Computed tomography of the spine — sagittal reformat
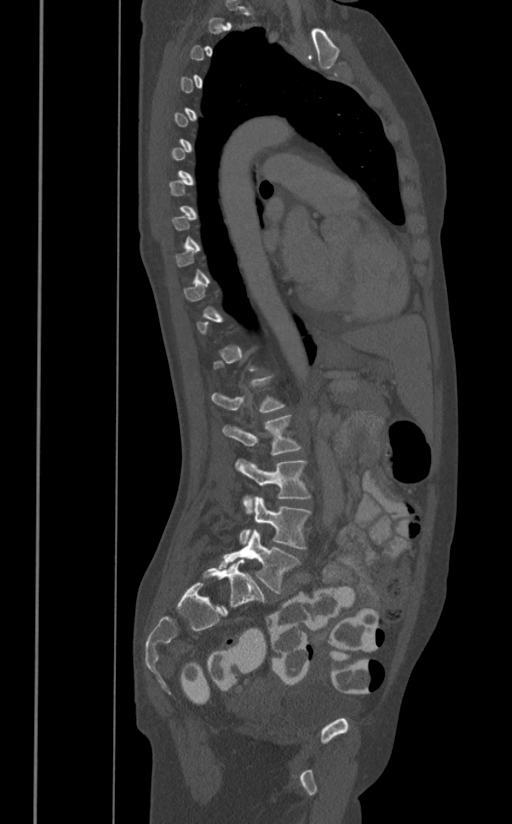

Not every vertebra on this slice has a box: a vertebra is boxed only from the first to the last slice where its cross-section is at least a third of its largest, and this slice is outside that range for at least one of them.
<vertebrae><v name="L1" x1="212" y1="376" x2="284" y2="413"/><v name="L2" x1="222" y1="415" x2="301" y2="455"/><v name="L3" x1="236" y1="458" x2="310" y2="514"/><v name="L4" x1="239" y1="496" x2="310" y2="549"/><v name="L5" x1="218" y1="529" x2="300" y2="593"/></vertebrae>